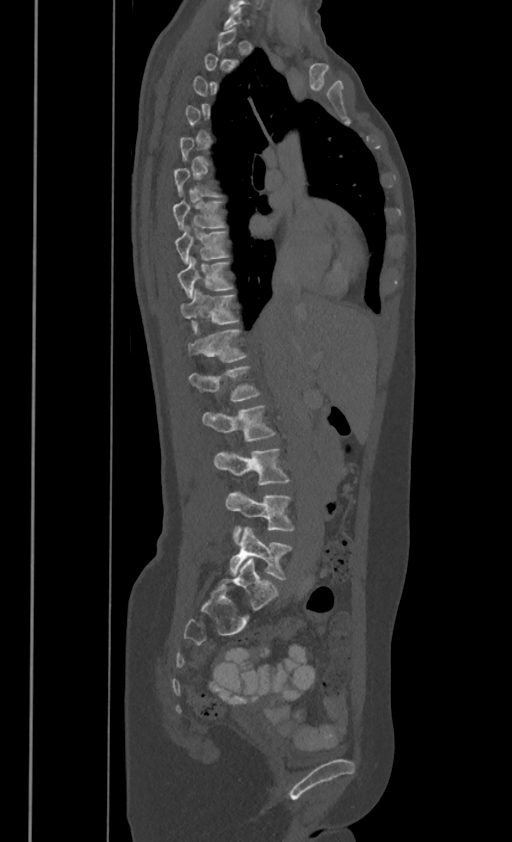
Spine CT. sagittal view. bone-window reconstruction. 386 mm wide
Each vertebra maps to its box as [x1, y1, x2, y2], the pixel coordinates of its top-left and bottom-right corners.
A vertebra gets a box only on the slices from the first to the last where its cross-section is at least a third of its largest; on a slice outside that range it gets none.
In these labels the thoracic vertebrae end at T11, so L1 follows T11.
{"vertebrae":{"T7":[172,199,223,228],"T8":[175,227,226,262],"T9":[176,257,231,296],"T10":[180,289,238,323],"T11":[188,327,244,361],"L1":[190,365,259,399],"L2":[203,405,275,441],"L3":[213,449,288,484],"L4":[225,493,293,541],"L5":[229,528,291,579]}}